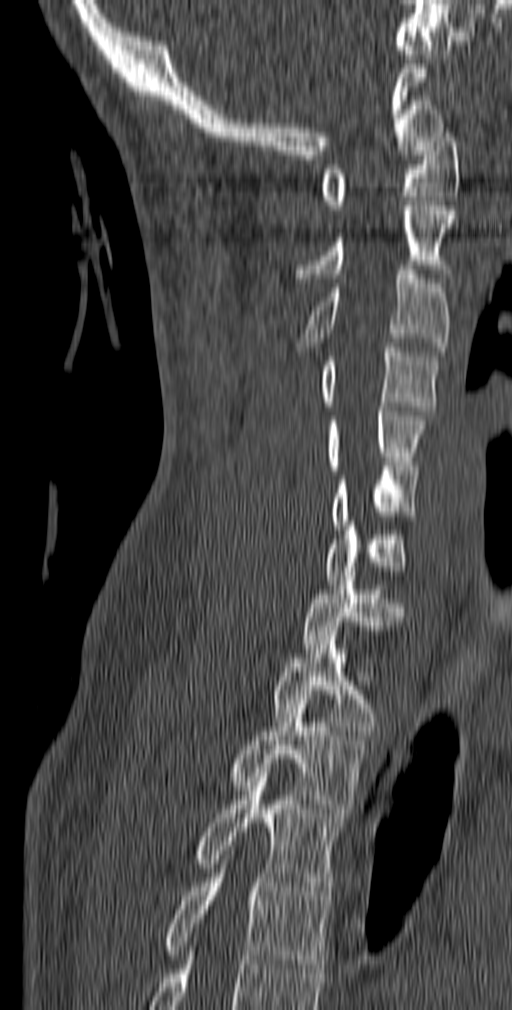 CT, spine; sagittal view; 512x1010 px
Coordinates as <box>x1,y1,x2,y2</box>. 12 vertebrae labeled — C1 at <box>320,128,459,209</box>; C2 at <box>294,201,455,282</box>; C3 at <box>297,265,450,356</box>; C4 at <box>320,343,439,415</box>; C5 at <box>326,407,425,474</box>; C6 at <box>330,466,417,529</box>; C7 at <box>326,521,406,584</box>; T1 at <box>302,576,403,653</box>; T2 at <box>272,631,381,735</box>; T3 at <box>228,695,366,813</box>; T4 at <box>195,773,344,900</box>; T5 at <box>162,855,330,973</box>.